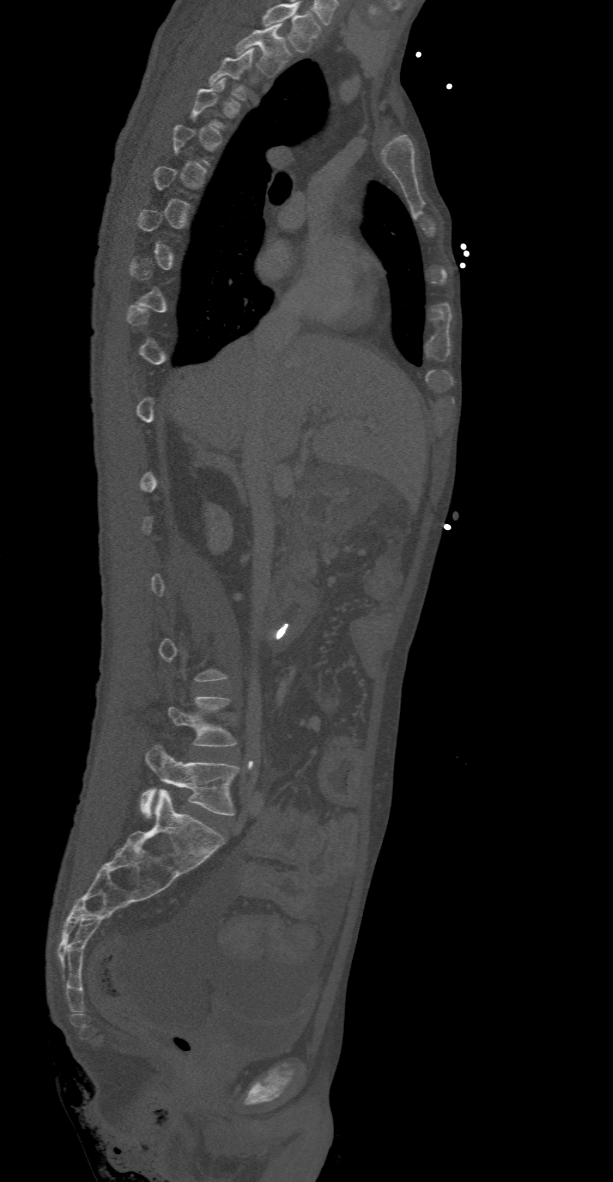
CT; sagittal view

Coordinates as <box>x1,y1,x2,y2</box>.
Each vertebra is boxed only on the slices from the first to the last where its cross-section reaches a third of its largest, so a slice outside that range leaves it unboxed.
Labels in this scan begin with T2 at the top and end with L5 at the bottom.
L5: <box>140,744,239,816</box>
L4: <box>167,696,237,746</box>
T3: <box>208,49,254,100</box>
T2: <box>235,23,291,77</box>